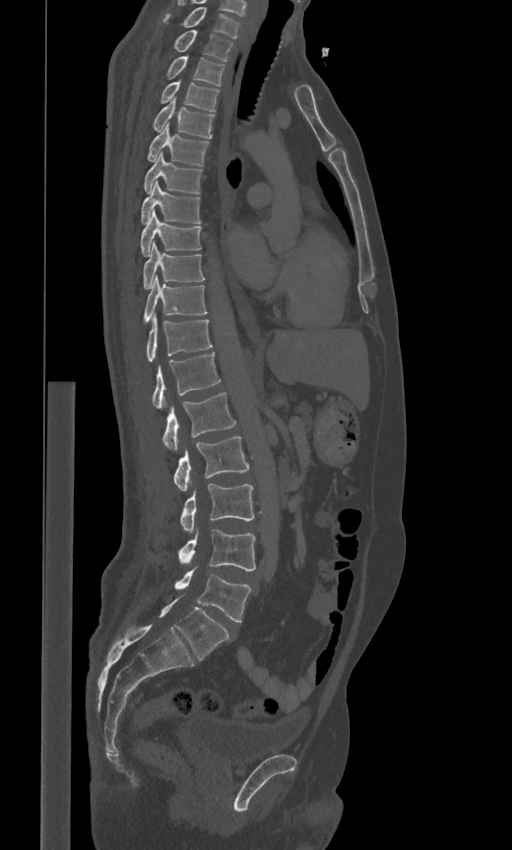
CT spine. sagittal reformat

In these labels the spine has an L6, a sixth lumbar vertebra below L5.
<vertebrae><v name="L6" x1="159" y1="597" x2="229" y2="660"/><v name="L5" x1="174" y1="567" x2="251" y2="622"/><v name="L4" x1="178" y1="528" x2="255" y2="570"/><v name="L3" x1="180" y1="484" x2="254" y2="534"/><v name="L2" x1="173" y1="436" x2="249" y2="491"/><v name="L1" x1="163" y1="392" x2="236" y2="451"/><v name="T12" x1="151" y1="352" x2="221" y2="409"/><v name="T11" x1="147" y1="313" x2="213" y2="362"/><v name="T10" x1="143" y1="276" x2="207" y2="321"/><v name="T9" x1="143" y1="242" x2="205" y2="288"/><v name="T8" x1="140" y1="211" x2="201" y2="256"/><v name="T7" x1="141" y1="181" x2="200" y2="224"/><v name="T6" x1="143" y1="152" x2="201" y2="194"/><v name="T5" x1="147" y1="123" x2="208" y2="165"/><v name="T4" x1="152" y1="99" x2="214" y2="138"/><v name="T3" x1="161" y1="80" x2="219" y2="111"/><v name="T2" x1="166" y1="56" x2="224" y2="86"/><v name="T1" x1="173" y1="29" x2="234" y2="60"/><v name="C7" x1="163" y1="7" x2="240" y2="37"/></vertebrae>